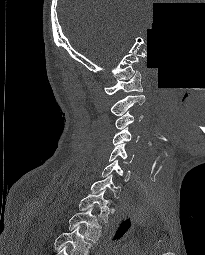
Spine computed tomography · sagittal view · Bone window (WL 400, WW 1800) · 205x255 px · part of the image has been replaced by a constant value
Each box given as x1,y1,x2,y2.
Labels in this scan begin with C1 at the top and end with T2 at the bottom.
C1: x1=104, y1=71, x2=142, y2=94
C2: x1=110, y1=95, x2=145, y2=115
C3: x1=115, y1=111, x2=143, y2=129
C4: x1=113, y1=127, x2=139, y2=145
C5: x1=109, y1=143, x2=133, y2=162
C6: x1=101, y1=159, x2=130, y2=181
C7: x1=91, y1=174, x2=120, y2=198
T1: x1=78, y1=189, x2=111, y2=222
T2: x1=68, y1=207, x2=101, y2=242